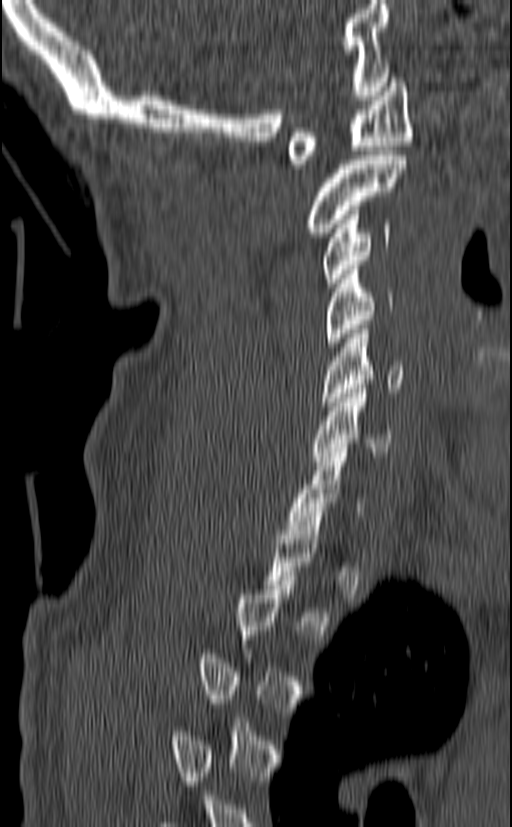

Spine CT. sagittal view. 512x827 px
In the table, x1 and y1 are a box's top-left corner and x2 and y2 its bottom-right corner, in pixels.
A vertebra gets a box only on the slices from the first to the last where its cross-section is at least a third of its largest; on a slice outside that range it gets none.
| vertebra | x1 | y1 | x2 | y2 |
|---|---|---|---|---|
| C1 | 287 | 78 | 412 | 168 |
| C2 | 305 | 155 | 406 | 237 |
| C3 | 323 | 206 | 391 | 287 |
| C4 | 323 | 265 | 393 | 346 |
| C5 | 320 | 325 | 403 | 406 |
| C6 | 312 | 384 | 392 | 461 |
| C7 | 286 | 448 | 363 | 534 |